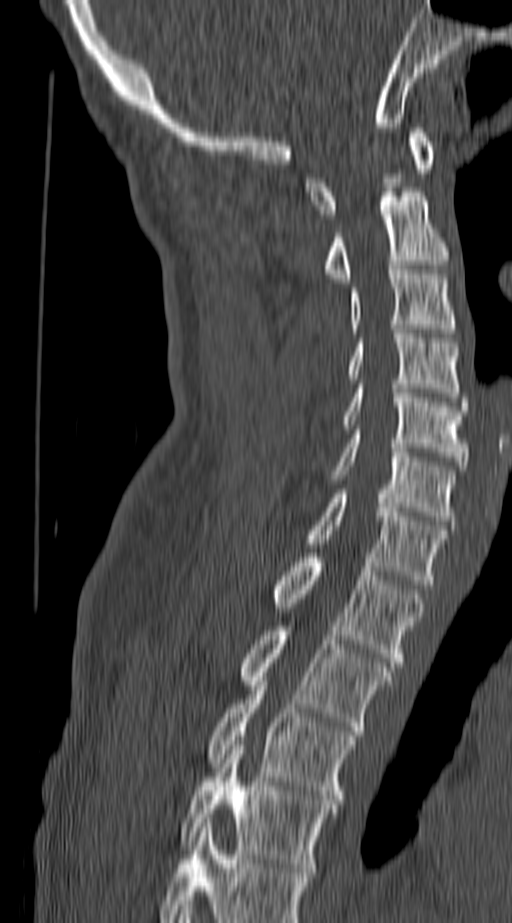

Spine CT — sagittal reformat — Bone window (WL 400, WW 1800) — 512x923 px

The highest labeled vertebra in this scan is C1; the lowest is T4.
<vertebrae><v name="C1" x1="305" y1="128" x2="436" y2="218"/><v name="C2" x1="323" y1="192" x2="450" y2="282"/><v name="C3" x1="349" y1="270" x2="454" y2="333"/><v name="C4" x1="349" y1="329" x2="461" y2="397"/><v name="C5" x1="341" y1="384" x2="468" y2="470"/><v name="C6" x1="330" y1="434" x2="454" y2="525"/><v name="C7" x1="305" y1="489" x2="447" y2="584"/><v name="T1" x1="272" y1="553" x2="425" y2="666"/><v name="T2" x1="239" y1="626" x2="395" y2="730"/><v name="T3" x1="206" y1="681" x2="355" y2="804"/><v name="T4" x1="181" y1="745" x2="337" y2="872"/></vertebrae>